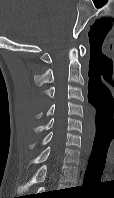 CT spine. sagittal view. Bone window (WL 400, WW 1800). Boxes are (x1, y1, x2, y2) in pixels.
The highest labeled vertebra in this scan is C1; the lowest is C7.
C1: (40, 45, 86, 63)
C2: (34, 46, 84, 85)
C3: (42, 84, 83, 101)
C4: (35, 101, 83, 118)
C5: (34, 117, 81, 132)
C6: (29, 131, 80, 148)
C7: (30, 146, 79, 163)